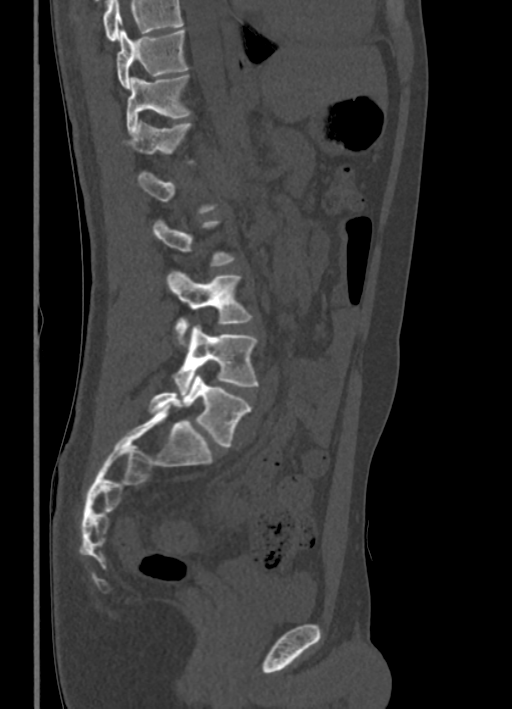

Spine CT — the image is 336 mm wide — sagittal view — 512x709 px

Each box given as x1,y1,x2,y2.
A vertebra gets a box only on the slices from the first to the last where its cross-section is at least a third of its largest; on a slice outside that range it gets none.
Where the top of the scan cuts through a vertebra, that vertebra gets no label or box.
| vertebra | x1 | y1 | x2 | y2 |
|---|---|---|---|---|
| L5 | 149 | 374 | 250 | 447 |
| L4 | 174 | 324 | 258 | 395 |
| L3 | 167 | 271 | 252 | 343 |
| T12 | 122 | 121 | 191 | 153 |
| T11 | 126 | 74 | 189 | 133 |
| T10 | 117 | 29 | 188 | 89 |